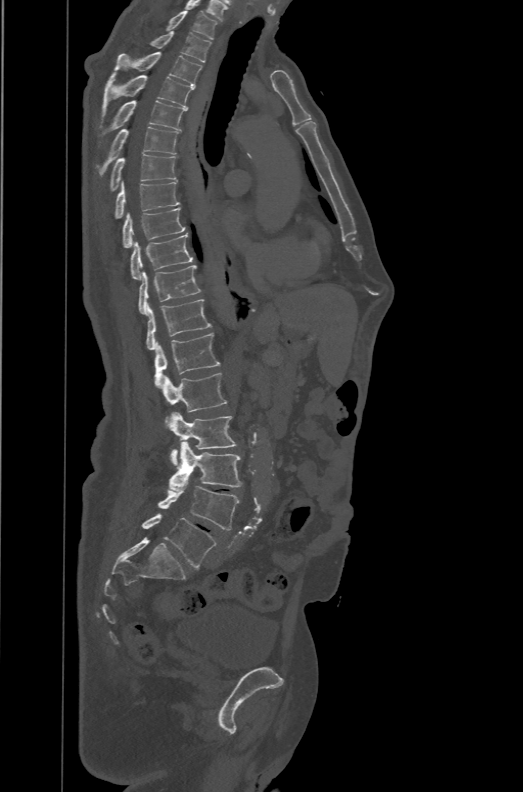
Spine computed tomography · sagittal view · bone-window reconstruction · 523x792 px

Boxes: x1:y1:x2:y2 in pixels.
The labels name a sixth lumbar vertebra for this spine: L6, after L5.
T1: 165:11:218:39
T2: 149:31:212:62
T3: 113:52:201:86
T4: 101:71:193:118
T5: 98:100:186:145
T6: 97:126:179:175
T7: 108:154:177:192
T8: 114:181:179:219
T9: 123:207:186:248
T10: 130:234:192:279
T11: 138:265:201:315
T12: 145:299:212:350
L1: 154:333:220:388
L2: 163:373:227:427
L3: 168:412:237:465
L4: 169:441:242:491
L5: 157:486:239:530
L6: 141:513:216:568